CT spine · sagittal view · 512x842 px
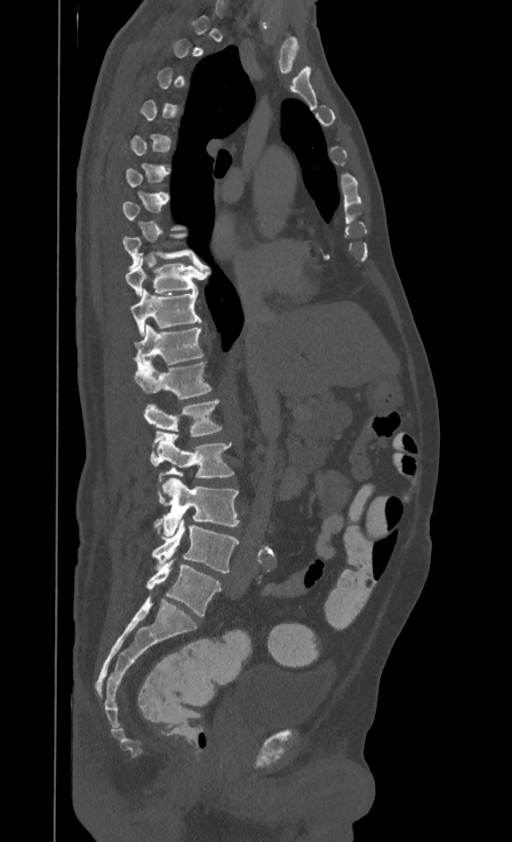
Bounding boxes as [x1, y1, x2, y2] in pixel coordinates.
Not every vertebra on this slice has a box: a vertebra is boxed only from the first to the last slice where its cross-section is at least a third of its largest, and this slice is outside that range for at least one of them.
Labels in this scan begin with T1 at the top and end with L4 at the bottom.
Vertebra bounding boxes:
- L4: [152, 517, 239, 573]
- L3: [154, 478, 239, 537]
- L2: [152, 430, 233, 491]
- L1: [144, 399, 222, 435]
- T12: [135, 360, 211, 399]
- T11: [135, 324, 204, 364]
- T10: [131, 289, 201, 336]
- T9: [126, 253, 205, 295]
- T8: [123, 234, 197, 268]